CT, spine — sagittal plane, index 243 — W/L 1800/400 HU — 512x477 px — scan covers 12 annotated vertebrae
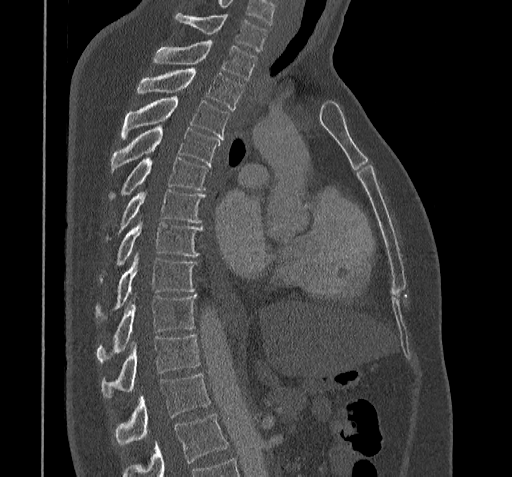 Bounding boxes as [x1, y1, x2, y2] in pixel coordinates. A vertebra cut off by the bottom edge of the scan is not labeled and has no box. 12 vertebrae labeled — C7 at [176, 14, 266, 51]; T1 at [154, 42, 256, 79]; T2 at [138, 67, 244, 109]; T3 at [122, 96, 228, 138]; T4 at [111, 125, 220, 169]; T5 at [109, 157, 208, 198]; T6 at [122, 189, 204, 228]; T7 at [117, 218, 201, 264]; T8 at [97, 252, 196, 312]; T9 at [97, 293, 196, 361]; T10 at [101, 333, 199, 398]; T11 at [113, 374, 210, 445].